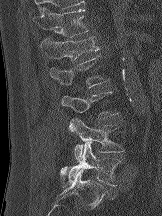

Computed tomography of the spine · sagittal view · bone-window reconstruction · 162x216 px
Columns x1, y1, x2, y2 give each box's top-left and bottom-right pixels.
| vertebra | x1 | y1 | x2 | y2 |
|---|---|---|---|---|
| T12 | 32 | 7 | 88 | 37 |
| L1 | 40 | 36 | 98 | 61 |
| L2 | 49 | 55 | 109 | 88 |
| L3 | 61 | 91 | 118 | 119 |
| L4 | 68 | 117 | 124 | 161 |
| L5 | 60 | 142 | 121 | 187 |